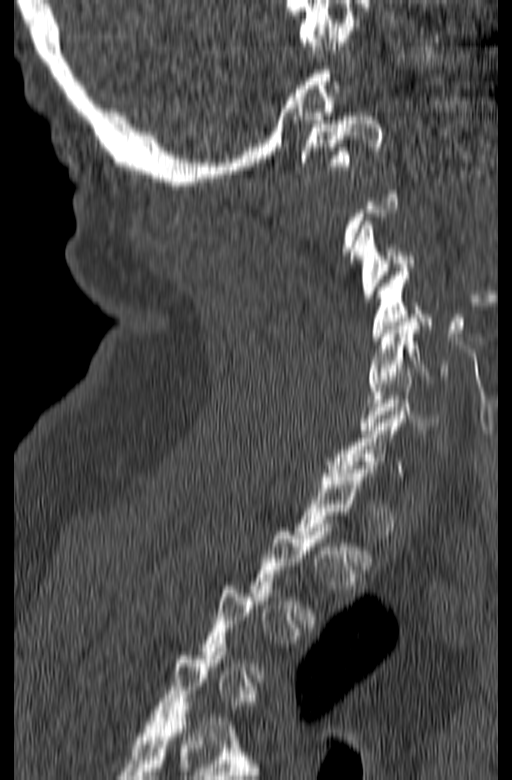

Spine CT · the image is 165 mm wide · sagittal view · Bone window (WL 400, WW 1800) · 512x780 px

Box values are [left, top, right, bottom] in pixels.
Each vertebra is boxed only on the slices from the first to the last where its cross-section reaches a third of its largest, so a slice outside that range leaves it unboxed.
{"vertebrae":{"C6":[359,368,439,433],"C5":[367,318,447,387],"C4":[373,268,432,340],"C3":[351,221,413,302],"C1":[301,112,383,170]}}